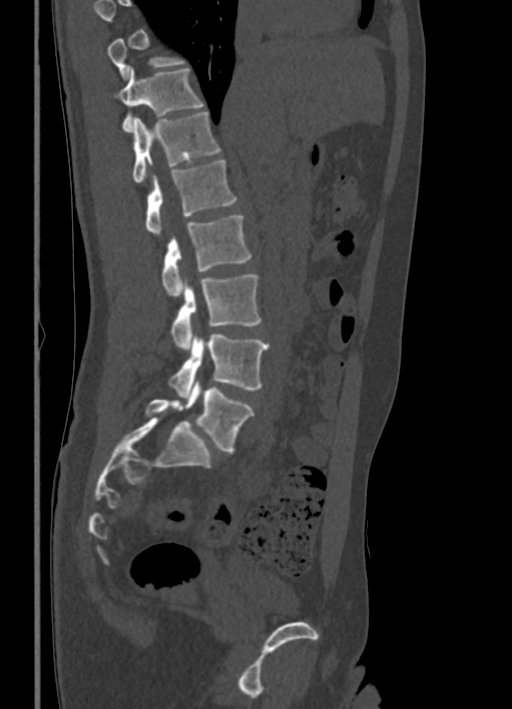

Spine CT · sagittal view · 512x709 px · the image spans 336 mm across

Boxes: x1:y1:x2:y2 in pixels.
A vertebra gets a box only on the slices from the first to the last where its cross-section is at least a third of its largest; on a slice outside that range it gets none.
L5: 145:381:253:453
L4: 169:334:269:398
L3: 170:274:261:349
L2: 161:215:252:297
L1: 146:160:237:236
T12: 132:111:220:182
T11: 114:67:203:132